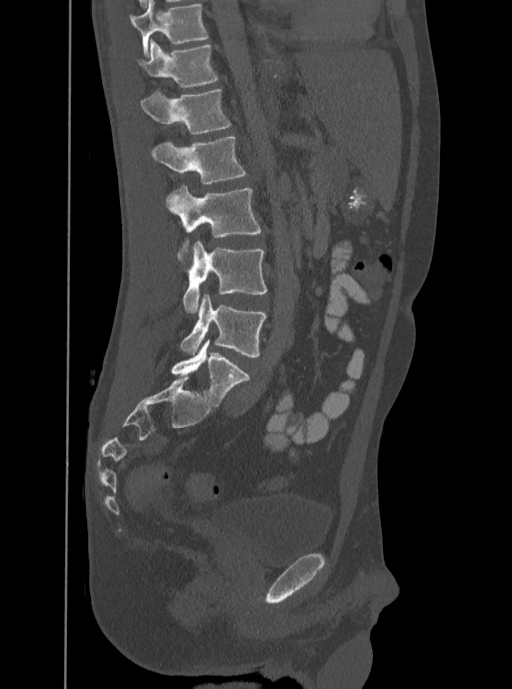
Spine CT. the image is 350 mm wide. sagittal reformat
Boxes are given in columns x1, y1, x2, y2, the pixel coordinates of their top-left and bottom-right corners.
In this scan, the topmost labeled vertebra is T12 and the lowest is L5.
| vertebra | x1 | y1 | x2 | y2 |
|---|---|---|---|---|
| T12 | 137 | 39 | 218 | 86 |
| L1 | 140 | 88 | 230 | 133 |
| L2 | 150 | 136 | 246 | 183 |
| L3 | 166 | 186 | 261 | 260 |
| L4 | 183 | 241 | 266 | 312 |
| L5 | 180 | 294 | 266 | 357 |